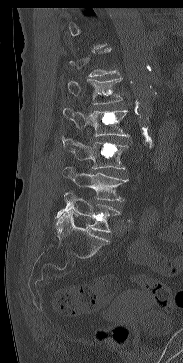
Spine CT. sagittal view. 183x363 px. Each row gives a vertebra's box as x1, y1, x2, y2 in pixels: top-left corner, then bottom-right corner.
Not every vertebra on this slice has a box: a vertebra is boxed only from the first to the last slice where its cross-section is at least a third of its largest, and this slice is outside that range for at least one of them.
| vertebra | x1 | y1 | x2 | y2 |
|---|---|---|---|---|
| L1 | 68 | 77 | 122 | 104 |
| L2 | 63 | 108 | 129 | 136 |
| L3 | 62 | 136 | 127 | 169 |
| L4 | 62 | 167 | 128 | 201 |
| L5 | 57 | 192 | 120 | 232 |